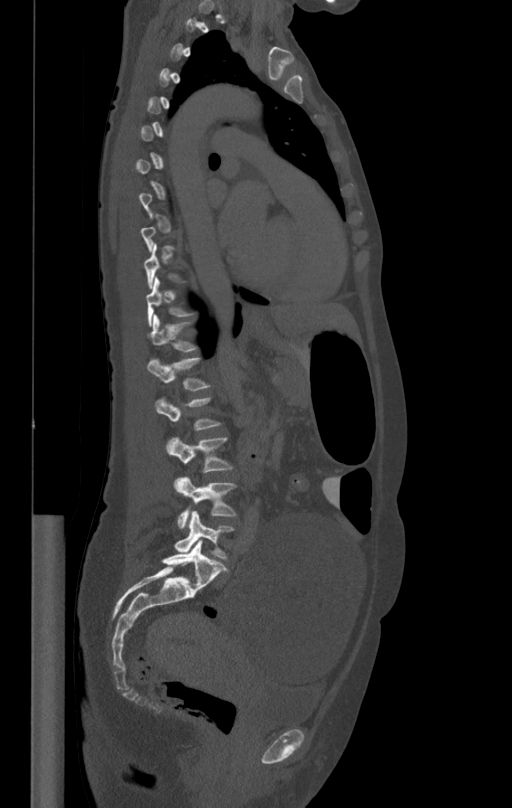
CT — sagittal view — bone window — image width 412 mm
Each box is [x1, y1, x2, y2] in pixels: top-left corner, then bottom-right corner.
A vertebra is boxed only from the first to the last slice where its cross-section is at least a third of its largest; slices outside that range leave it without a box.
{"vertebrae":{"T11":[147,278,195,326],"T12":[149,315,198,351],"L1":[148,357,211,390],"L2":[155,396,221,453],"L3":[168,437,234,489],"L4":[177,476,236,528],"L5":[174,510,234,559]}}